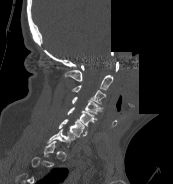
Spine CT — sagittal view — 173x184 px — some of the image was removed or blocked out with constant pixels
Each box is [x1, y1, x2, y2] in pixels: top-left corner, then bottom-right corner.
Not every vertebra on this slice has a box: a vertebra is boxed only from the first to the last slice where its cross-section is at least a third of its largest, and this slice is outside that range for at least one of them.
{"vertebrae":{"C7":[47,129,75,147],"C6":[59,119,87,137],"C5":[67,107,97,126],"C4":[72,96,102,114],"C3":[71,85,106,104],"C2":[64,70,113,90],"C1":[81,62,118,71]}}